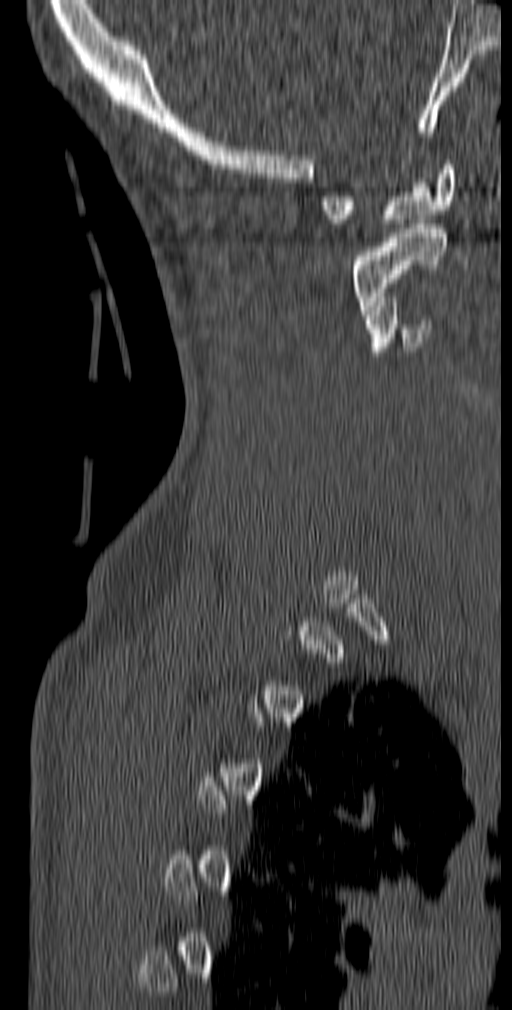

Spine computed tomography; sagittal view; Bone window (WL 400, WW 1800). Each box given as x1,y1,x2,y2.
Not every vertebra on this slice has a box: a vertebra is boxed only from the first to the last slice where its cross-section is at least a third of its largest, and this slice is outside that range for at least one of them.
C1: x1=320, y1=160, x2=455, y2=228
C2: x1=352, y1=219, x2=446, y2=314
C3: x1=365, y1=297, x2=430, y2=356